CT, spine. Sagittal slice 224/512. bone window. 512x700 px
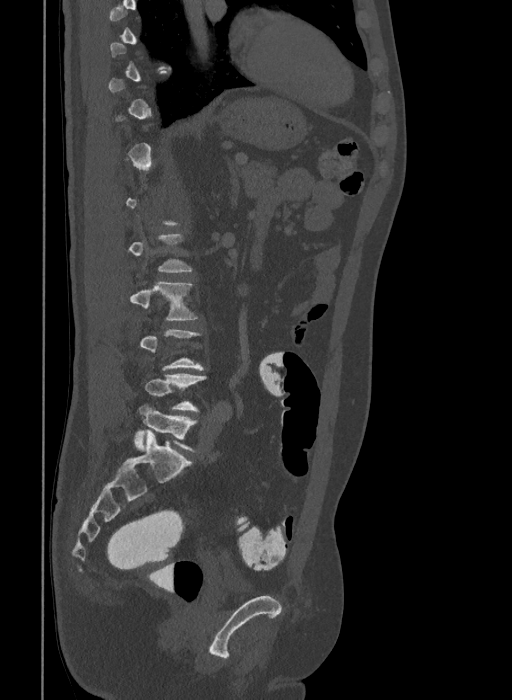 Each box is [x1, y1, x2, y2] in pixels: top-left corner, then bottom-right corner.
Not every vertebra on this slice has a box: a vertebra is boxed only from the first to the last slice where its cross-section is at least a third of its largest, and this slice is outside that range for at least one of them.
These labels give the spine a sixth lumbar vertebra, L6, below L5.
{"vertebrae":{"L3":[130,282,198,320],"L5":[144,373,205,411],"L6":[133,404,198,452]}}